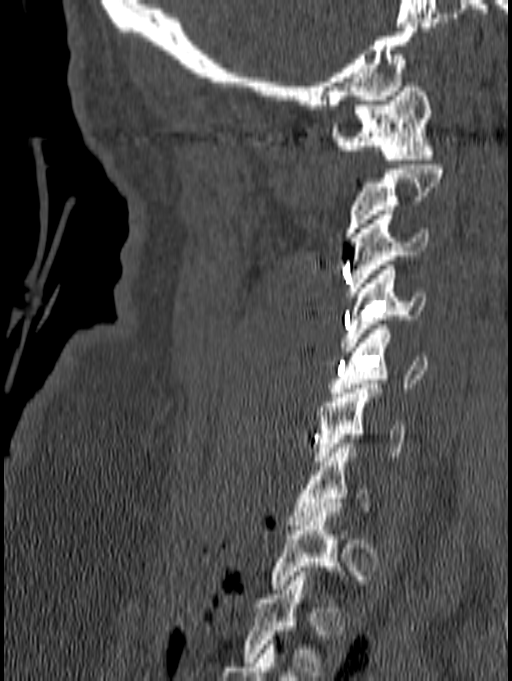

CT spine. sagittal view. W/L 1800/400 HU
Not every vertebra on this slice has a box: a vertebra is boxed only from the first to the last slice where its cross-section is at least a third of its largest, and this slice is outside that range for at least one of them.
<vertebrae><v name="C1" x1="330" y1="82" x2="435" y2="164"/><v name="C3" x1="346" y1="210" x2="428" y2="296"/><v name="C4" x1="341" y1="265" x2="425" y2="351"/><v name="C5" x1="330" y1="325" x2="428" y2="397"/><v name="C6" x1="315" y1="384" x2="404" y2="465"/><v name="C7" x1="290" y1="443" x2="371" y2="525"/></vertebrae>